CT spine; sagittal reformat; scan covers 18 annotated vertebrae; image 500 mm wide
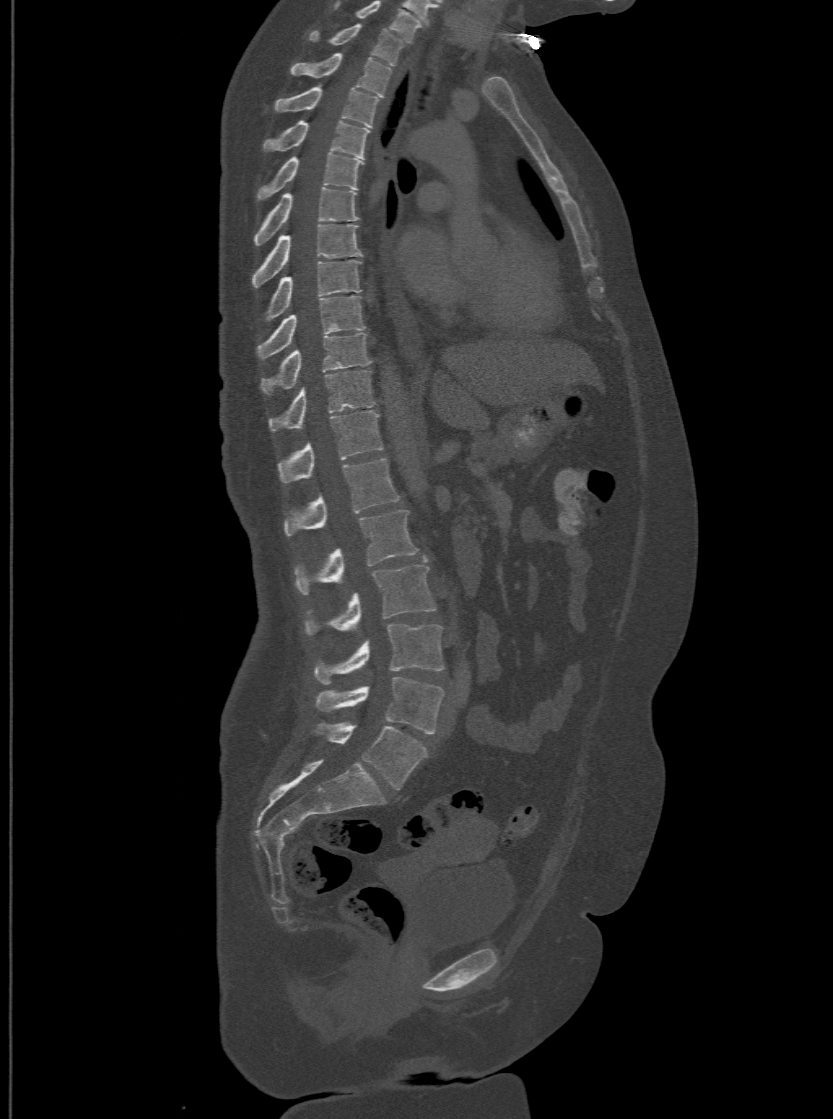

Each box is [x1, y1, x2, y2] in pixels: top-left corner, then bottom-right corner.
The highest labeled vertebra in this scan is T1; the lowest is L6.
The labels name a sixth lumbar vertebra for this spine: L6, after L5.
{"vertebrae":{"L6":[312,723,427,788],"L5":[317,676,442,733],"L4":[316,624,443,683],"L3":[306,557,435,635],"L2":[296,508,417,593],"L1":[285,457,399,534],"T12":[278,410,383,481],"T11":[269,370,373,429],"T10":[262,332,368,391],"T9":[257,295,365,357],"T8":[260,258,360,321],"T7":[252,223,362,286],"T6":[256,187,357,244],"T5":[259,152,362,197],"T4":[265,120,368,157],"T3":[275,85,377,126],"T2":[290,52,391,96],"T1":[308,22,403,64]}}